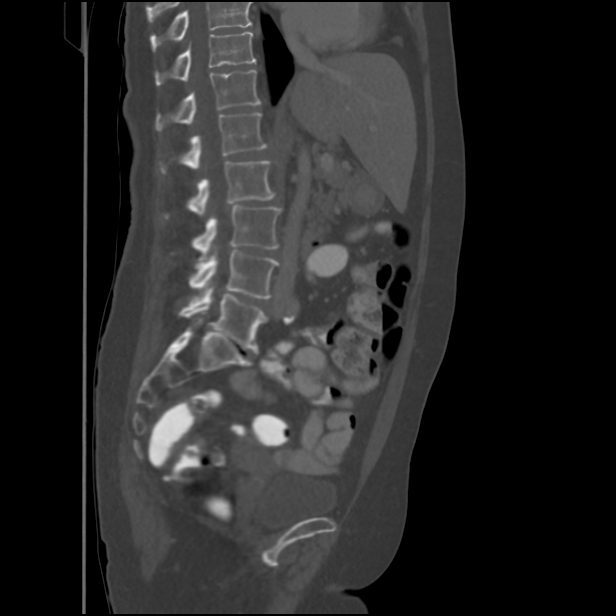 CT, spine; sagittal view
Boxes below are [x1, y1, x2, y2] in pixels.
Where the top of the scan cuts through a vertebra, that vertebra gets no label or box.
{"vertebrae":{"T11":[155,32,256,85],"T12":[155,70,261,130],"L1":[159,113,266,173],"L2":[164,161,275,218],"L3":[192,205,280,260],"L4":[189,250,279,299],"L5":[179,287,268,351]}}